Spine CT. image width 231 mm. sagittal reformat. 231x462 px. scan covers 8 annotated vertebrae
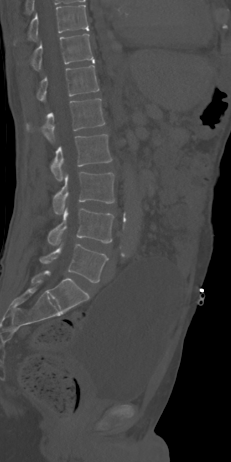
Boxes: x1 y1 x2 y2 (pixel coords, space-separated).
Vertebra bounding boxes:
- L5: 40 244 107 282
- L4: 48 208 113 245
- L3: 52 172 114 214
- L2: 50 134 111 180
- L1: 26 98 105 141
- T12: 37 65 99 101
- T11: 31 33 94 70
- T10: 28 5 88 40